Spine CT. sagittal view. scan covers 8 annotated vertebrae
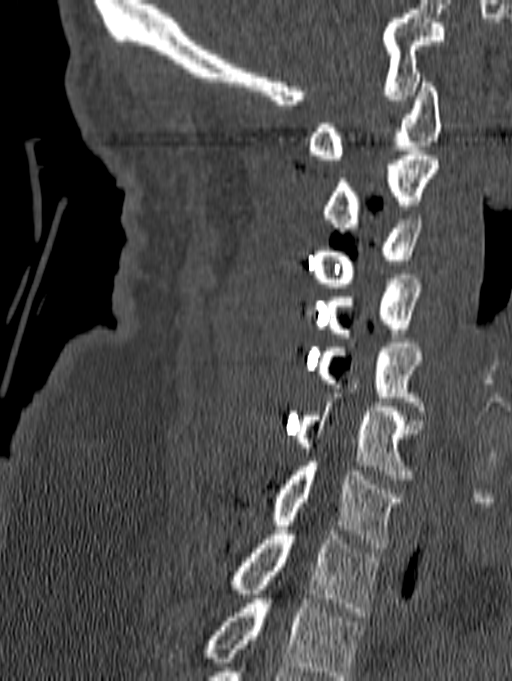

Boxes are given in columns x1, y1, x2, y2, the pixel coordinates of their top-left and bottom-right corners.
This scan's labels start at C1 at the top and end at T1 at the bottom.
| vertebra | x1 | y1 | x2 | y2 |
|---|---|---|---|---|
| T1 | 228 | 530 | 379 | 616 |
| C7 | 268 | 462 | 403 | 548 |
| C6 | 294 | 379 | 422 | 479 |
| C5 | 315 | 343 | 425 | 415 |
| C4 | 326 | 279 | 422 | 337 |
| C3 | 312 | 215 | 422 | 287 |
| C2 | 323 | 151 | 439 | 232 |
| C1 | 307 | 78 | 441 | 159 |